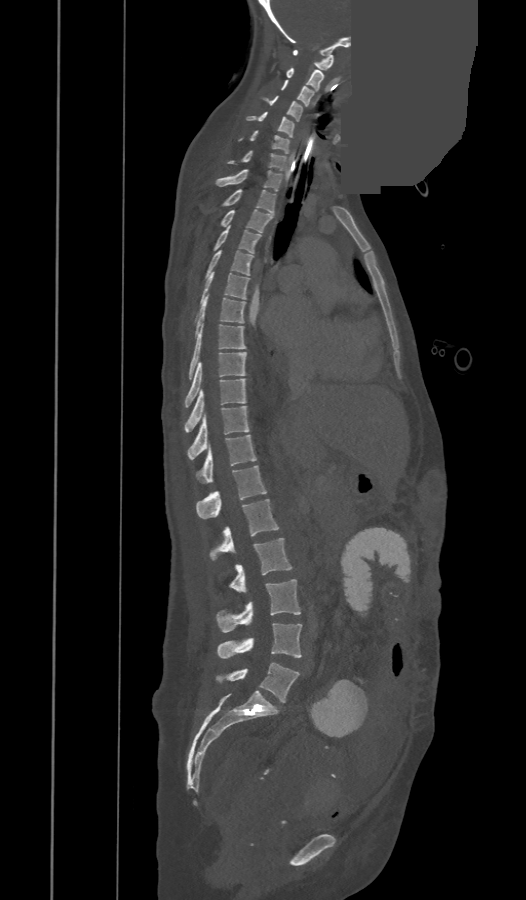
Computed tomography of the spine — sagittal view — a region is masked with a constant gray value
Each row gives a vertebra's box as x1, y1, x2, y2 in pixels: top-left corner, then bottom-right corner.
These labels give the spine a thirteenth thoracic vertebra: T13 sits between T12 and L1.
| vertebra | x1 | y1 | x2 | y2 |
|---|---|---|---|---|
| C1 | 293 | 50 | 334 | 69 |
| C2 | 286 | 68 | 323 | 91 |
| C3 | 281 | 80 | 313 | 106 |
| C4 | 261 | 96 | 302 | 121 |
| C5 | 246 | 112 | 294 | 137 |
| C6 | 240 | 130 | 288 | 154 |
| C7 | 228 | 150 | 286 | 170 |
| T1 | 216 | 169 | 282 | 190 |
| T2 | 221 | 189 | 275 | 214 |
| T3 | 220 | 209 | 273 | 232 |
| T4 | 214 | 227 | 261 | 252 |
| T5 | 205 | 250 | 254 | 278 |
| T6 | 200 | 271 | 249 | 302 |
| T7 | 195 | 294 | 245 | 336 |
| T8 | 189 | 323 | 245 | 379 |
| T9 | 186 | 352 | 245 | 407 |
| T10 | 185 | 379 | 245 | 431 |
| T11 | 188 | 406 | 249 | 459 |
| T12 | 197 | 435 | 256 | 482 |
| T13 | 197 | 466 | 266 | 518 |
| L1 | 210 | 499 | 278 | 561 |
| L2 | 229 | 538 | 292 | 591 |
| L3 | 217 | 579 | 300 | 631 |
| L4 | 218 | 623 | 301 | 658 |
| L5 | 216 | 662 | 299 | 702 |